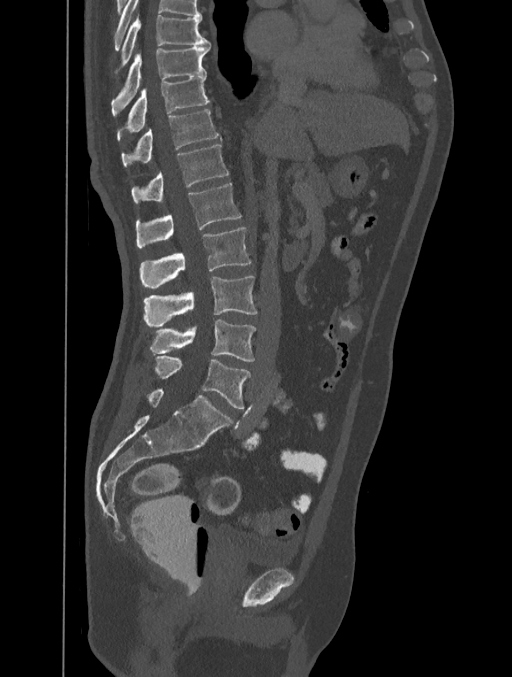 Spine CT; sagittal view; 401 mm wide

Box edges are left/top/right/bottom in pixels.
Labels in this scan begin with T8 at the top and end with L5 at the bottom.
Vertebra bounding boxes:
- L5: left=153, top=355, right=250, bottom=409
- L4: left=149, top=319, right=255, bottom=361
- L3: left=143, top=276, right=257, bottom=327
- L2: left=139, top=228, right=250, bottom=287
- L1: left=135, top=183, right=241, bottom=248
- T12: left=131, top=145, right=229, bottom=204
- T11: left=121, top=109, right=222, bottom=167
- T10: left=116, top=75, right=210, bottom=140
- T9: left=112, top=45, right=210, bottom=110
- T8: left=122, top=15, right=210, bottom=65